Spine CT — Sagittal slice 222/512 — Bone window (WL 400, WW 1800) — 512x929 px
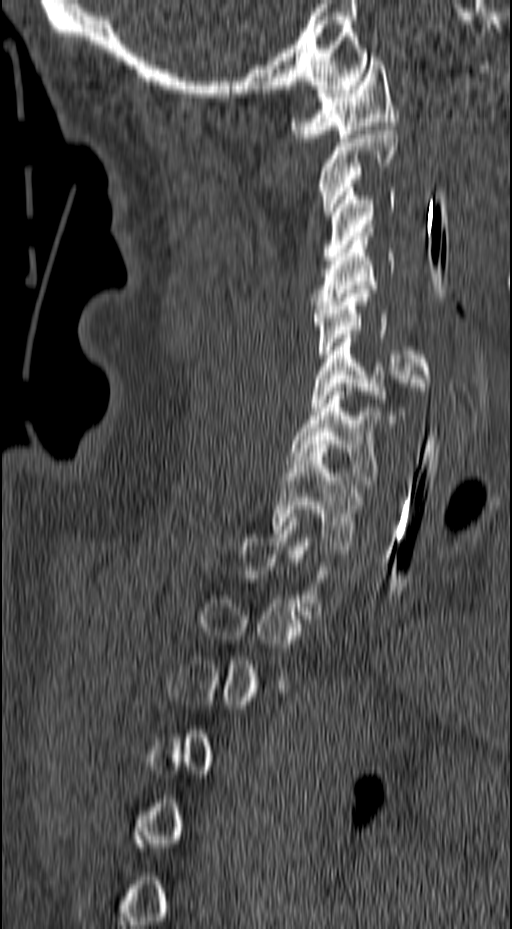 Each box given as x1,y1,x2,y2. Each vertebra is boxed only on the slices from the first to the last where its cross-section reaches a third of its largest, so a slice outside that range leaves it unboxed. Vertebrae labeled: T1 at x1=272, y1=448, x2=361, y2=549, C7 at x1=288, y1=387, x2=380, y2=484, C6 at x1=311, y1=334, x2=425, y2=423, C5 at x1=312, y1=289, x2=430, y2=386, C4 at x1=310, y1=232, x2=395, y2=309, C3 at x1=323, y1=188, x2=395, y2=260, C2 at x1=317, y1=126, x2=398, y2=215, C1 at x1=291, y1=57, x2=398, y2=142.